Spine CT — Sagittal slice 255/512 — 512x551 px — scan covers 7 annotated vertebrae
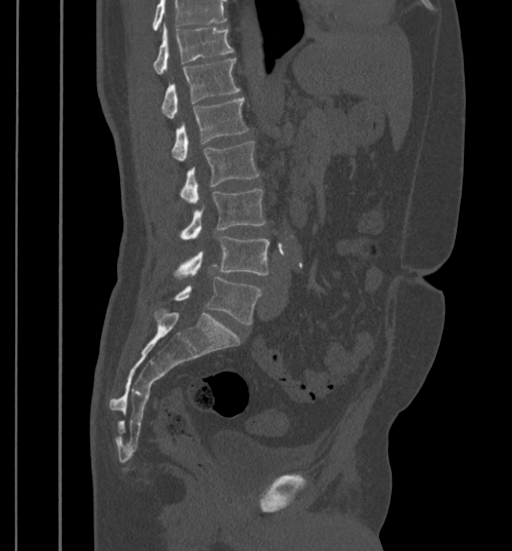 Box values are [left, top, right, bottom] in pixels.
A vertebra cut off by the top edge of the scan is not labeled and has no box.
{"vertebrae":{"T11":[154,26,232,74],"T12":[162,59,240,119],"L1":[172,98,248,161],"L2":[181,141,259,204],"L3":[181,188,266,238],"L4":[176,236,270,277],"L5":[174,277,261,324]}}